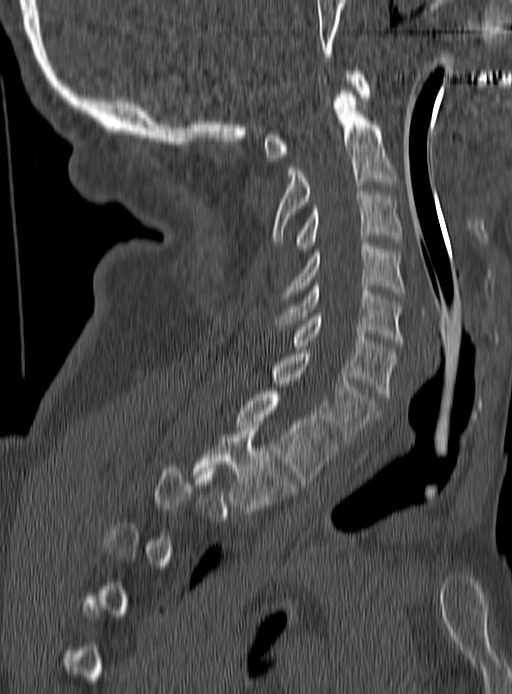 Computed tomography of the spine — sagittal view — bone window. Boxes: x1 y1 x2 y2 (pixel coords, space-separated). A vertebra gets a box only on the slices from the first to the last where its cross-section is at least a third of its largest; on a slice outside that range it gets none. 9 vertebrae labeled — C1 at 264 71 369 161; C2 at 272 91 396 242; C3 at 296 189 401 252; C4 at 281 243 404 302; C5 at 273 283 404 346; C6 at 293 313 396 396; C7 at 273 350 377 444; T1 at 235 391 337 484; T2 at 192 424 294 511.